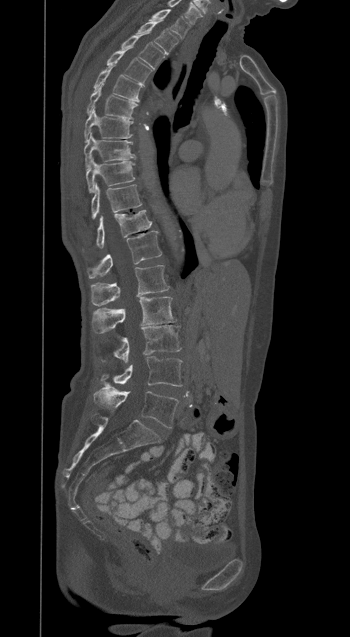

CT — sagittal view — 350x637 px. Each box given as x1,y1,x2,y2.
Vertebra bounding boxes:
- L5: x1=93, y1=388, x2=178, y2=428
- L4: x1=101, y1=356, x2=181, y2=387
- L3: x1=113, y1=325, x2=180, y2=363
- L2: x1=92, y1=297, x2=175, y2=333
- L1: x1=91, y1=265, x2=169, y2=305
- T12: x1=87, y1=231, x2=161, y2=278
- T11: x1=96, y1=210, x2=151, y2=247
- T10: x1=91, y1=183, x2=141, y2=219
- T9: x1=86, y1=156, x2=134, y2=192
- T8: x1=84, y1=132, x2=134, y2=168
- T7: x1=84, y1=108, x2=133, y2=141
- T6: x1=87, y1=85, x2=137, y2=118
- T5: x1=94, y1=66, x2=144, y2=102
- T4: x1=107, y1=49, x2=151, y2=83
- T3: x1=121, y1=35, x2=164, y2=69
- T2: x1=137, y1=21, x2=178, y2=54
- T1: x1=151, y1=9, x2=190, y2=38